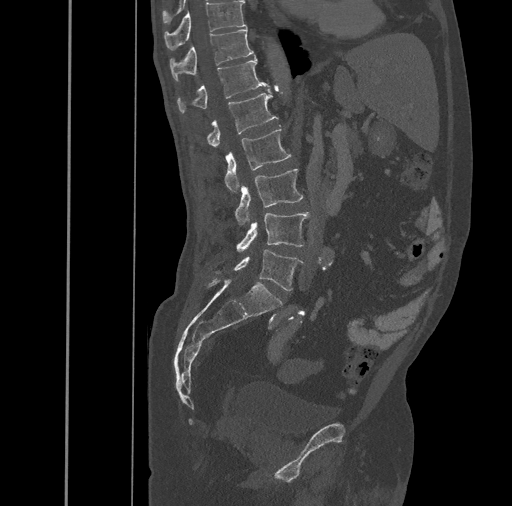
CT, spine · sagittal view

Bounding boxes as [x1, y1, x2, y2] in pixel coordinates.
Vertebra bounding boxes:
- T10: [164, 1, 246, 50]
- T11: [170, 28, 254, 81]
- T12: [177, 57, 269, 113]
- L1: [207, 89, 278, 147]
- L2: [225, 128, 292, 192]
- L3: [235, 168, 303, 224]
- L4: [236, 213, 308, 252]
- L5: [234, 249, 303, 291]